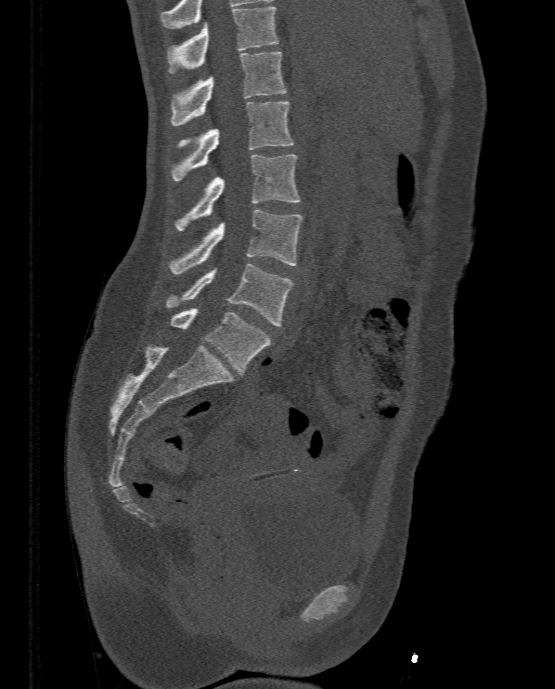 CT, spine. sagittal view. bone window. image width 333 mm
<vertebrae><v name="T11" x1="166" y1="6" x2="279" y2="73"/><v name="T12" x1="170" y1="51" x2="287" y2="125"/><v name="L1" x1="171" y1="101" x2="294" y2="180"/><v name="L2" x1="175" y1="154" x2="300" y2="230"/><v name="L3" x1="168" y1="210" x2="303" y2="274"/><v name="L4" x1="166" y1="263" x2="293" y2="325"/><v name="L5" x1="170" y1="307" x2="270" y2="373"/></vertebrae>